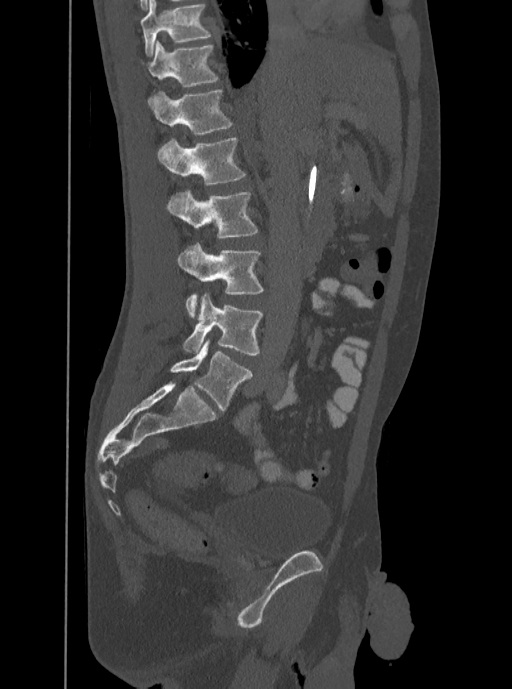
CT spine. sagittal view. bone-window reconstruction
Boxes below are [x1, y1, x2, y2] in pixels.
The highest labeled vertebra in this scan is T12; the lowest is L5.
{"vertebrae":{"T12":[140,41,218,104],"L1":[152,88,233,135],"L2":[158,137,246,185],"L3":[167,190,258,237],"L4":[178,242,264,318],"L5":[182,294,264,356]}}